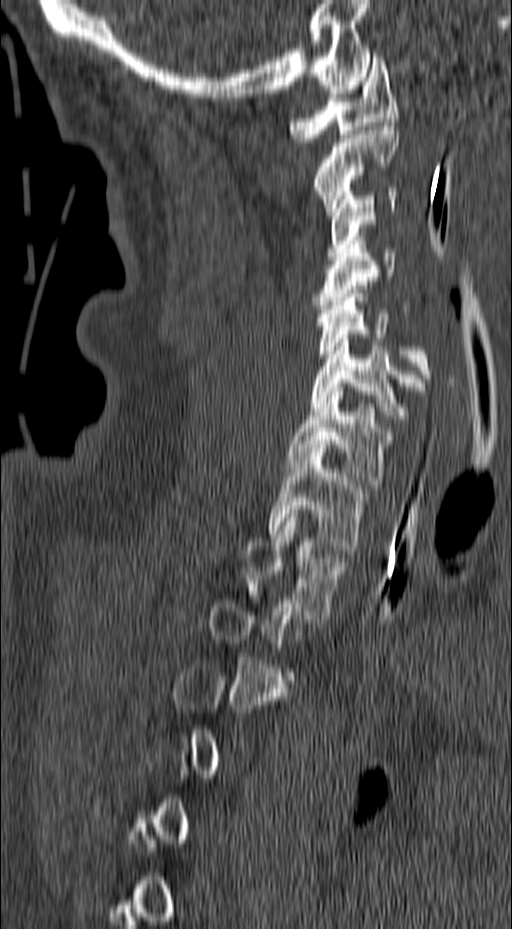
CT spine — sagittal view — Bone window (WL 400, WW 1800) — 512x929 px — the image spans 157 mm across. Coordinates as <box>x1,y1,x2,y2</box>. A vertebra gets a box only on the slices from the first to the last where its cross-section is at least a third of its largest; on a slice outside that range it gets none. 9 vertebrae labeled — T2 at <box>242,514,346,619</box>; T1 at <box>269,448,365,549</box>; C7 at <box>288,387,398,488</box>; C6 at <box>311,334,425,423</box>; C5 at <box>316,289,432,386</box>; C4 at <box>313,236,410,313</box>; C3 at <box>326,188,398,256</box>; C2 at <box>314,122,398,215</box>; C1 at <box>288,57,398,142</box>.